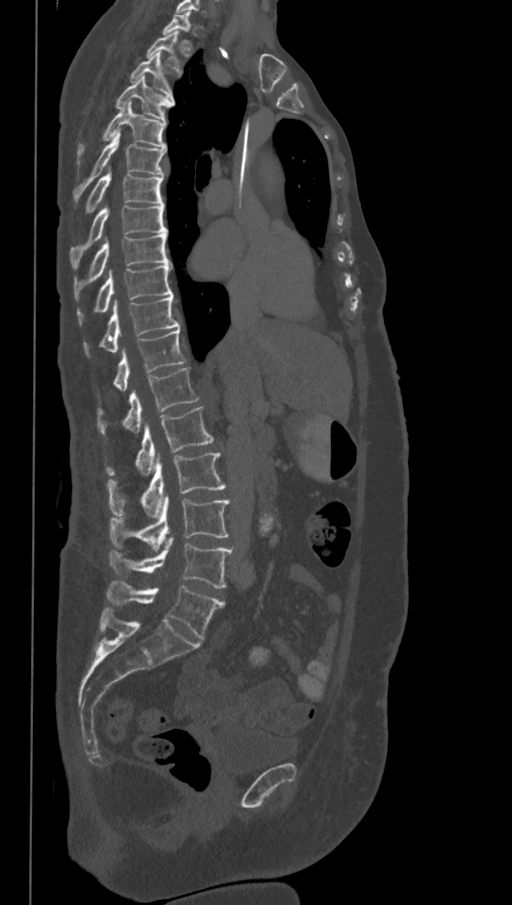 CT — sagittal view — W/L 1800/400 HU

In the table, x1 and y1 are a box's top-left corner and x2 and y2 its bottom-right corner, in pixels.
A vertebra gets a box only on the slices from the first to the last where its cross-section is at least a third of its largest; on a slice outside that range it gets none.
In these labels the spine has an L6, a sixth lumbar vertebra below L5.
| vertebra | x1 | y1 | x2 | y2 |
|---|---|---|---|---|
| T2 | 146 | 30 | 182 | 72 |
| T3 | 129 | 53 | 180 | 94 |
| T4 | 114 | 76 | 174 | 119 |
| T5 | 76 | 103 | 166 | 172 |
| T6 | 72 | 133 | 166 | 203 |
| T7 | 85 | 174 | 163 | 214 |
| T8 | 69 | 205 | 167 | 268 |
| T9 | 74 | 233 | 171 | 301 |
| T10 | 76 | 264 | 173 | 326 |
| T11 | 83 | 294 | 178 | 356 |
| T12 | 112 | 328 | 185 | 390 |
| L1 | 97 | 367 | 199 | 436 |
| L2 | 104 | 406 | 214 | 476 |
| L3 | 107 | 453 | 226 | 517 |
| L4 | 110 | 496 | 231 | 551 |
| L5 | 110 | 537 | 233 | 588 |
| L6 | 107 | 581 | 224 | 640 |